CT. 250 mm image width. sagittal plane, index 109
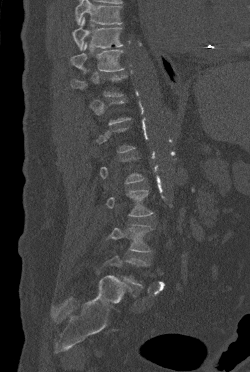

Boxes: x1 y1 x2 y2 (pixel coords, space-separated). Each vertebra is boxed only on the slices from the first to the last where its cross-section reaches a third of its largest, so a slice outside that range leaves it unboxed. A vertebra cut off by the top edge of the scan is not labeled and has no box. The labeled vertebrae in this slice are: T9 at 72 17 122 50, T10 at 70 42 123 73, L4 at 105 224 152 252.